Spine computed tomography — image width 461 mm — sagittal view — 17 vertebrae labeled in this scan
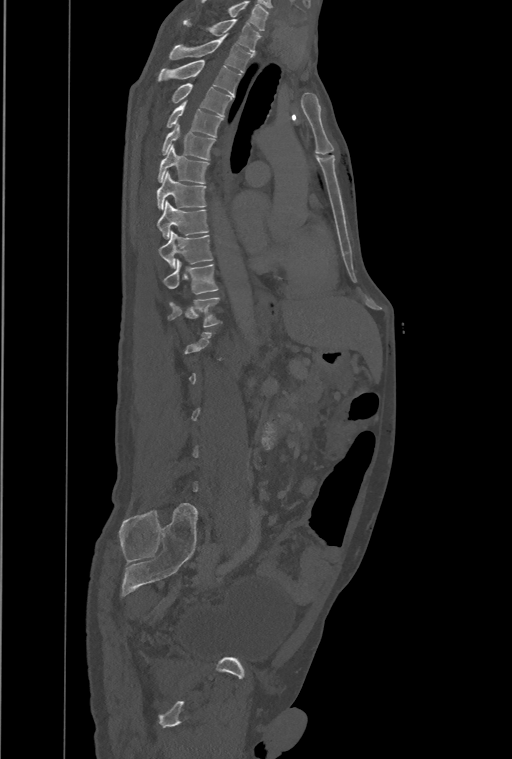
Bounding boxes as [x1, y1, x2, y2] in pixel coordinates. Not every vertebra on this slice has a box: a vertebra is boxed only from the first to the last slice where its cross-section is at least a third of its largest, and this slice is outside that range for at least one of them. In this scan, the topmost labeled vertebra is T1 and the lowest is L4. 12 vertebrae labeled — T12 at [168, 297, 221, 327]; T11 at [164, 260, 218, 294]; T10 at [158, 231, 212, 268]; T9 at [157, 200, 208, 238]; T8 at [156, 172, 206, 209]; T7 at [157, 146, 208, 183]; T6 at [162, 124, 215, 159]; T5 at [166, 101, 223, 137]; T4 at [172, 84, 231, 116]; T3 at [157, 60, 241, 95]; T2 at [170, 35, 253, 73]; T1 at [184, 19, 260, 53].